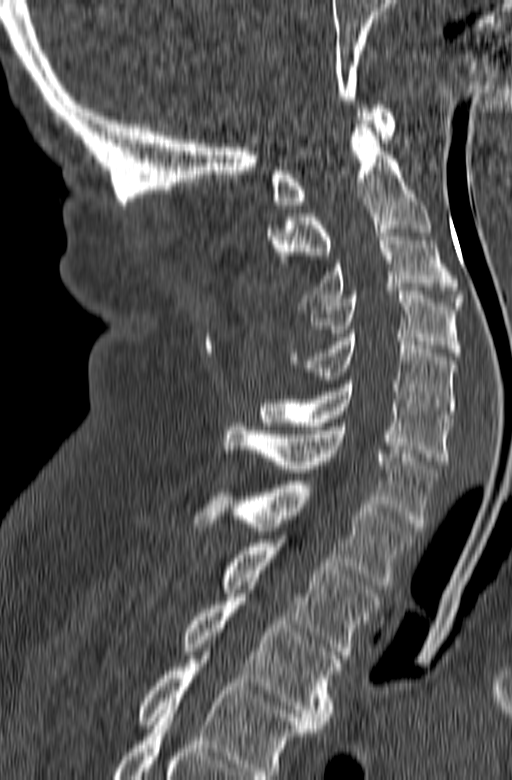 CT, spine · sagittal view · bone-window reconstruction · 512x780 px. Boxes are given in columns x1, y1, x2, y2, the pixel coordinates of their top-left and bottom-right corners.
In this scan, the topmost labeled vertebra is C1 and the lowest is T3.
| vertebra | x1 | y1 | x2 | y2 |
|---|---|---|---|---|
| C1 | 271 | 105 | 394 | 208 |
| C2 | 267 | 120 | 431 | 274 |
| C3 | 299 | 229 | 464 | 309 |
| C4 | 305 | 291 | 460 | 356 |
| C5 | 290 | 334 | 456 | 418 |
| C6 | 260 | 380 | 452 | 464 |
| C7 | 224 | 423 | 438 | 530 |
| T1 | 193 | 481 | 415 | 585 |
| T2 | 223 | 539 | 379 | 658 |
| T3 | 183 | 597 | 341 | 728 |